CT, spine; sagittal view; 473x616 px
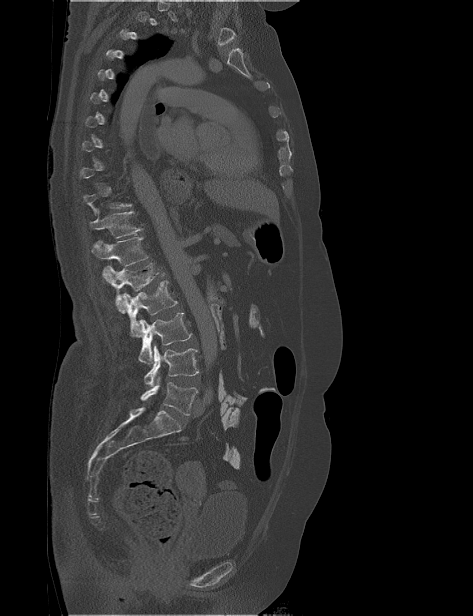
Each box given as x1,y1,x2,y2.
Not every vertebra on this slice has a box: a vertebra is boxed only from the first to the last slice where its cross-section is at least a third of its largest, and this slice is outside that range for at least one of them.
| vertebra | x1 | y1 | x2 | y2 |
|---|---|---|---|---|
| T11 | 90 | 209 | 143 | 238 |
| T12 | 91 | 237 | 148 | 266 |
| L1 | 103 | 263 | 164 | 313 |
| L2 | 121 | 280 | 177 | 337 |
| L3 | 138 | 312 | 192 | 364 |
| L4 | 144 | 345 | 199 | 386 |
| L5 | 140 | 377 | 198 | 415 |